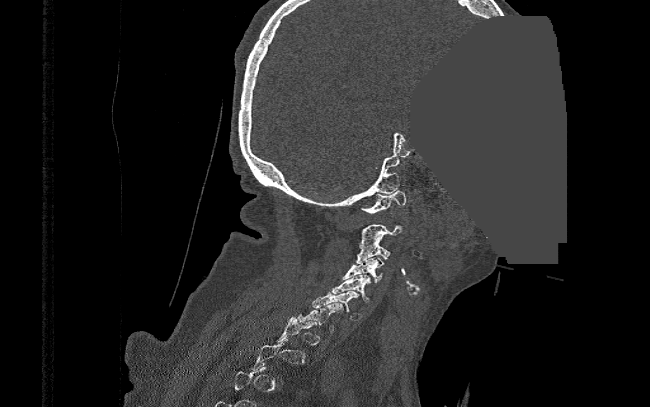

CT spine. sagittal view. 390 mm wide. Bone window (WL 400, WW 1800). part of the image has been replaced by a constant value
Each vertebra maps to its box as [x1, y1, x2, y2], the pixel coordinates of its top-left and bottom-right corners.
A vertebra is boxed only from the first to the last slice where its cross-section is at least a third of its largest; slices outside that range leave it without a box.
{"vertebrae":{"C1":[361,190,405,213],"C2":[359,224,403,246],"C3":[355,241,391,263],"C4":[343,256,382,283],"C5":[333,274,370,301],"C6":[312,291,362,319],"C7":[297,303,343,331]}}